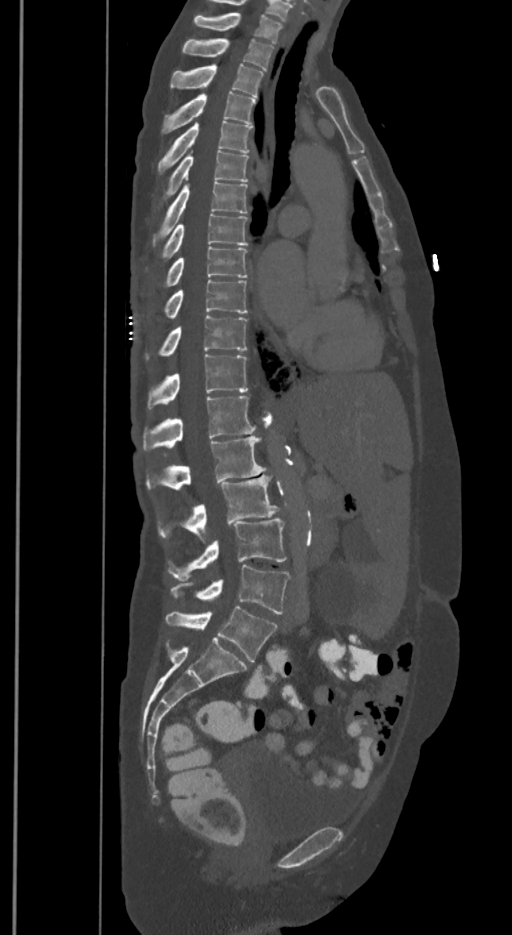
Spine computed tomography · the image spans 350 mm across · sagittal view · 512x935 px
In these labels the spine has an L6, a sixth lumbar vertebra below L5.
<vertebrae><v name="T1" x1="194" y1="13" x2="281" y2="42"/><v name="T2" x1="183" y1="38" x2="274" y2="69"/><v name="T3" x1="171" y1="63" x2="264" y2="98"/><v name="T4" x1="162" y1="91" x2="255" y2="132"/><v name="T5" x1="158" y1="120" x2="252" y2="173"/><v name="T6" x1="165" y1="151" x2="247" y2="196"/><v name="T7" x1="153" y1="182" x2="247" y2="244"/><v name="T8" x1="162" y1="213" x2="247" y2="258"/><v name="T9" x1="167" y1="246" x2="246" y2="286"/><v name="T10" x1="165" y1="279" x2="247" y2="318"/><v name="T11" x1="146" y1="315" x2="246" y2="357"/><v name="T12" x1="148" y1="354" x2="247" y2="408"/><v name="L1" x1="143" y1="396" x2="255" y2="449"/><v name="L2" x1="146" y1="436" x2="265" y2="490"/><v name="L3" x1="158" y1="474" x2="278" y2="540"/><v name="L4" x1="168" y1="517" x2="285" y2="580"/><v name="L5" x1="171" y1="565" x2="290" y2="614"/><v name="L6" x1="165" y1="606" x2="277" y2="661"/></vertebrae>